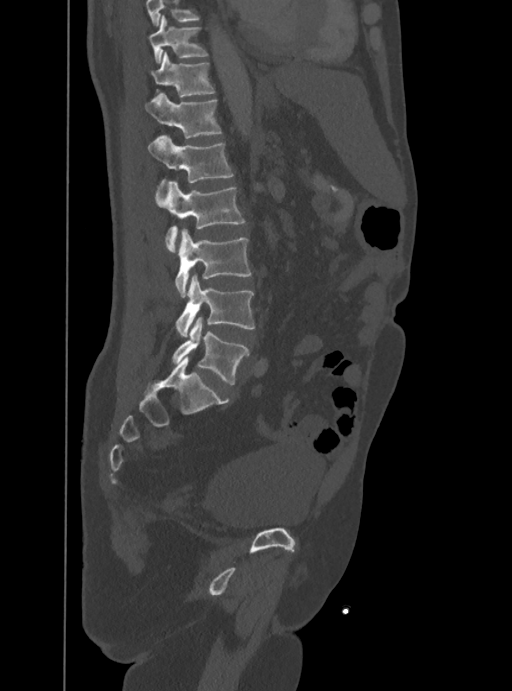 CT. sagittal view. bone-window reconstruction
Boxes: x1 y1 x2 y2 (pixel coords, space-separated). A vertebra cut off by the top edge of the scan is not labeled and has no box. The labeled vertebrae in this slice are: T10 at 149 14 207 63, T11 at 152 51 215 99, T12 at 145 93 222 139, L1 at 148 134 234 194, L2 at 155 181 244 252, L3 at 175 229 251 297, L4 at 175 274 255 336, L5 at 173 318 248 384.